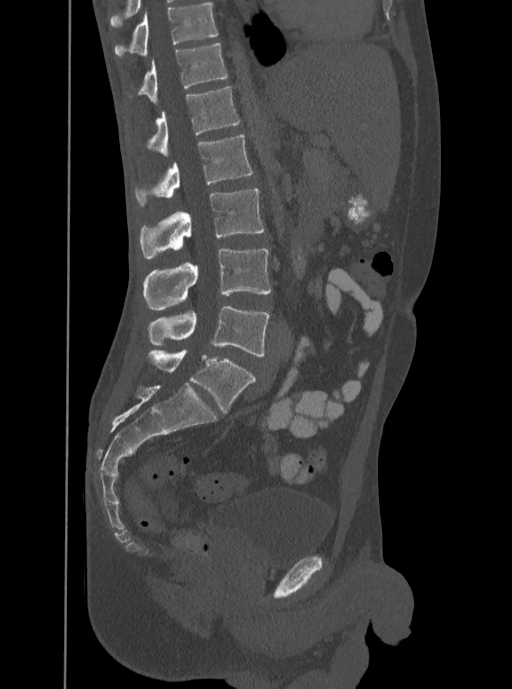 Spine CT — sagittal view
Each row gives a vertebra's box as x1, y1, x2, y2 in pixels: top-left corner, then bottom-right corner.
Labels in this scan begin with T12 at the top and end with L5 at the bottom.
| vertebra | x1 | y1 | x2 | y2 |
|---|---|---|---|---|
| L5 | 147 | 305 | 269 | 357 |
| L4 | 143 | 249 | 271 | 310 |
| L3 | 140 | 188 | 264 | 258 |
| L2 | 136 | 134 | 252 | 206 |
| L1 | 146 | 86 | 240 | 157 |
| T12 | 137 | 43 | 227 | 104 |